Spine computed tomography · sagittal view · bone-window reconstruction · 317x559 px · scan covers 18 annotated vertebrae
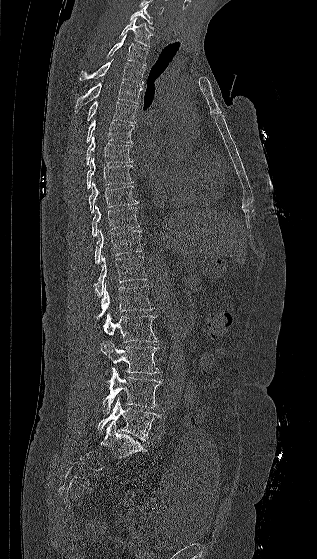 Box edges are left/top/right/bottom in pixels.
| vertebra | x1 | y1 | x2 | y2 |
|---|---|---|---|---|
| C7 | 130 | 4 | 153 | 29 |
| T1 | 119 | 18 | 152 | 46 |
| T2 | 106 | 36 | 148 | 65 |
| T3 | 79 | 58 | 144 | 84 |
| T4 | 75 | 82 | 142 | 111 |
| T5 | 86 | 101 | 136 | 123 |
| T6 | 86 | 119 | 134 | 143 |
| T7 | 85 | 136 | 133 | 165 |
| T8 | 87 | 158 | 133 | 189 |
| T9 | 88 | 181 | 138 | 213 |
| T10 | 92 | 205 | 139 | 236 |
| T11 | 94 | 229 | 142 | 263 |
| T12 | 94 | 255 | 147 | 298 |
| L1 | 97 | 282 | 154 | 318 |
| L2 | 103 | 313 | 157 | 342 |
| L3 | 99 | 341 | 160 | 375 |
| L4 | 102 | 367 | 161 | 414 |
| L5 | 98 | 396 | 159 | 440 |